Computed tomography of the spine; sagittal view
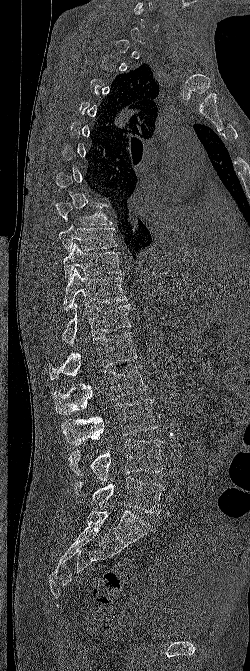

Boxes: x1:y1:x2:y2 in pixels.
Not every vertebra on this slice has a box: a vertebra is boxed only from the first to the last slice where its cross-section is at least a third of its largest, and this slice is outside that range for at least one of them.
T8: 55:202:112:225
T9: 59:225:118:252
T10: 63:243:121:281
T11: 63:268:127:311
T12: 62:303:131:345
L1: 49:332:137:380
L2: 53:366:146:414
L3: 61:398:157:445
L4: 68:439:163:481
L5: 74:476:165:514